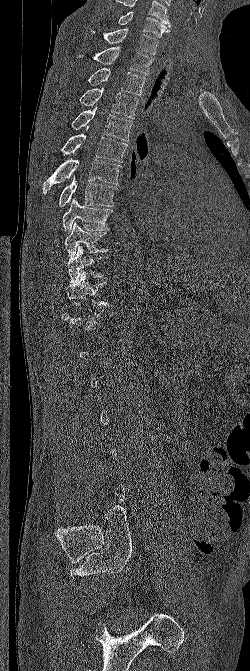 CT spine · sagittal view
Boxes below are [x1, y1, x2, y2] in pixels.
Each vertebra is boxed only on the slices from the first to the last where its cross-section reaches a third of its largest, so a slice outside that range leaves it unboxed.
The highest labeled vertebra in this scan is C6; the lowest is L5.
{"vertebrae":{"T11":[65,271,109,307],"T10":[67,245,108,283],"T9":[64,222,110,257],"T8":[62,198,113,233],"T7":[58,176,117,206],"T6":[43,159,121,195],"T5":[59,126,127,162],"T4":[71,107,132,141],"T3":[79,88,138,118],"T2":[87,68,145,95],"T1":[79,46,153,74],"C7":[90,28,158,55],"C6":[118,11,171,37]}}